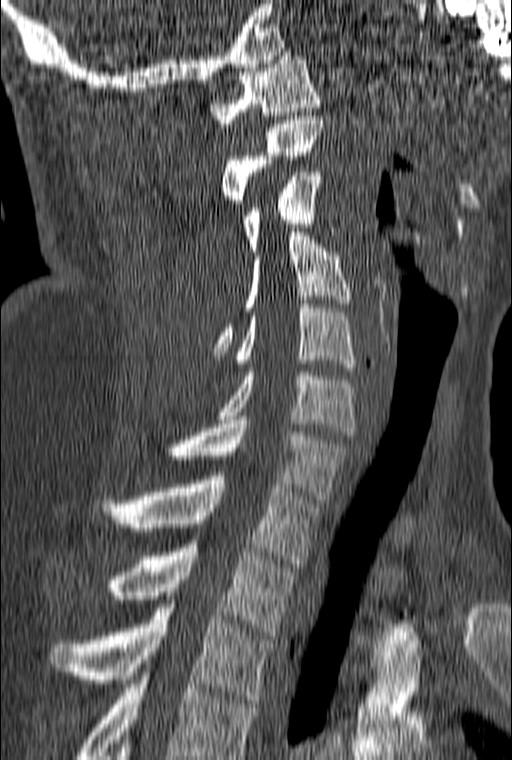
CT spine — sagittal view — bone window — image width 160 mm

Boxes below are [x1, y1, x2, y2] in pixels.
Labels in this scan begin with C1 at the top and end with T3 at the bottom.
{"vertebrae":{"T3":[49,604,275,703],"T2":[110,544,295,635],"T1":[103,476,319,567],"C7":[142,420,349,503],"C6":[218,368,355,435],"C5":[236,304,356,371],"C4":[212,232,349,355],"C3":[243,168,335,251],"C2":[222,116,323,207],"C1":[209,52,320,123]}}